CT spine; sagittal reformat; 281x245 px; scan covers 9 annotated vertebrae; the image is 281 mm wide; part of the image has been replaced by a constant value
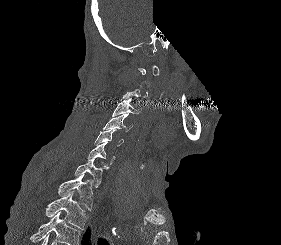

Each row gives a vertebra's box as x1, y1, x2, y2 in pixels: top-left corner, then bottom-right corner.
Not every vertebra on this slice has a box: a vertebra is boxed only from the first to the last slice where its cross-section is at least a third of its largest, and this slice is outside that range for at least one of them.
Vertebrae that run past the bottom of the scan are left unlabeled.
| vertebra | x1 | y1 | x2 | y2 |
|---|---|---|---|---|
| C3 | 112 | 98 | 141 | 116 |
| C4 | 103 | 112 | 133 | 131 |
| C5 | 94 | 130 | 123 | 146 |
| C6 | 87 | 142 | 115 | 164 |
| C7 | 74 | 159 | 109 | 187 |
| T1 | 58 | 174 | 93 | 210 |
| T2 | 45 | 191 | 87 | 229 |